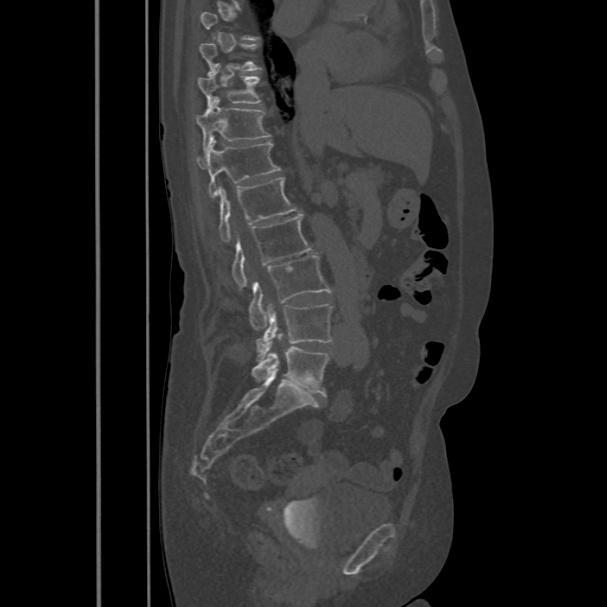 Computed tomography of the spine · sagittal view · 607x607 px
Box edges are left/top/right/bottom in pixels. Not every vertebra on this slice has a box: a vertebra is boxed only from the first to the last slice where its cross-section is at least a third of its largest, and this slice is outside that range for at least one of them. The labeled vertebrae in this slice are: T9 at left=199, top=43, right=261, bottom=74, T10 at left=197, top=75, right=261, bottom=106, T11 at left=196, top=97, right=271, bottom=154, T12 at left=196, top=142, right=280, bottom=197, L1 at left=218, top=177, right=299, bottom=241, L2 at left=231, top=215, right=311, bottom=286, L3 at left=249, top=255, right=332, bottom=329, L4 at left=256, top=303, right=332, bottom=356, L5 at left=251, top=346, right=329, bottom=395.